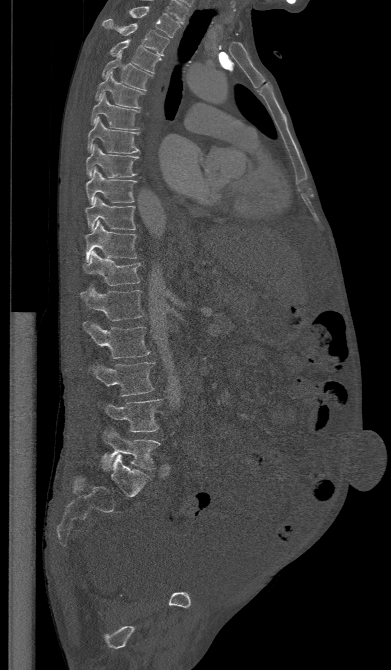

Spine CT; 391 mm wide; sagittal view; W/L 1800/400 HU; 391x670 px
Each box is [x1, y1, x2, y2] in pixels: top-left corner, then bottom-right corner.
{"vertebrae":{"T1":[129,6,180,37],"T2":[102,19,169,55],"T3":[110,39,160,72],"T4":[102,53,151,90],"T5":[95,72,143,108],"T6":[91,94,139,130],"T7":[87,116,140,153],"T8":[86,145,138,177],"T9":[85,168,136,204],"T10":[85,197,135,230],"T11":[86,220,138,261],"T12":[82,251,140,285],"L1":[80,285,143,320],"L2":[83,319,150,358],"L3":[88,361,154,396],"L4":[97,399,160,432],"L5":[101,427,160,470]}}